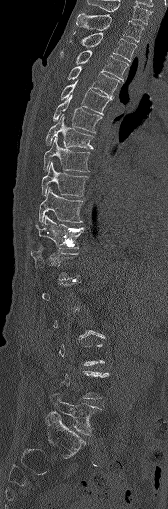

Spine computed tomography; sagittal view; Bone window (WL 400, WW 1800)
Box values are [left, top, right, bottom] in pixels.
A vertebra is boxed only from the first to the last slice where its cross-section is at least a third of its largest; slices outside that range leave it without a box.
{"vertebrae":{"C7":[87,0,151,24],"T1":[76,13,144,41],"T2":[70,33,136,61],"T3":[61,50,128,79],"T4":[67,65,119,98],"T5":[60,83,112,114],"T6":[52,96,101,132],"T7":[45,115,92,148],"T8":[43,137,90,172],"T9":[41,162,87,196],"T10":[38,187,83,225],"T11":[35,215,84,250],"L5":[50,392,101,435]}}